CT spine · 165 mm wide · sagittal view · 512x780 px
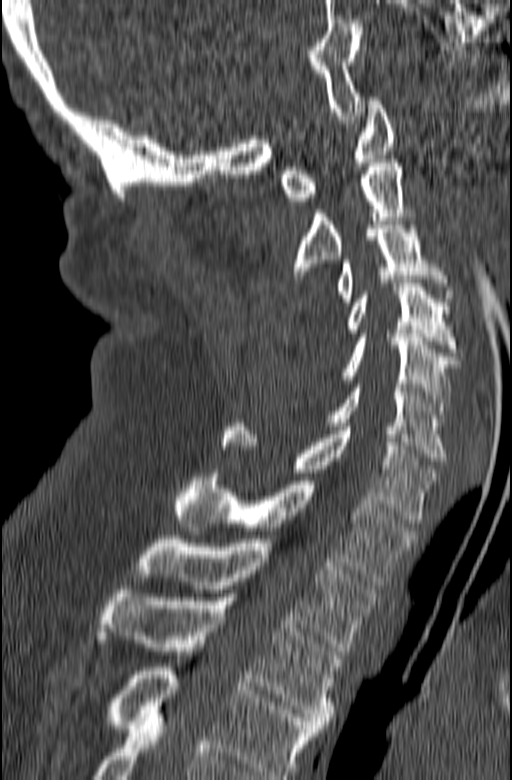 Coordinates as <box>x1,y1,x2,y2</box>.
In this scan, the topmost labeled vertebra is C1 and the lowest is T3.
C1: <box>280,97,394,201</box>
C2: <box>290,159,413,278</box>
C3: <box>336,221,453,305</box>
C4: <box>345,283,459,356</box>
C5: <box>342,334,459,418</box>
C6: <box>327,384,447,461</box>
C7: <box>221,423,438,523</box>
T1: <box>174,473,416,585</box>
T2: <box>137,539,379,651</box>
T3: <box>95,590,341,728</box>